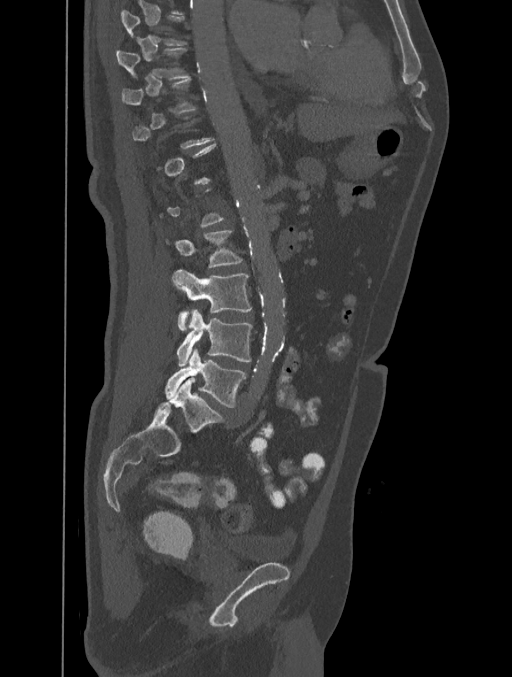
CT — sagittal reformat — 512x677 px
Boxes: x1 y1 x2 y2 (pixel coords, space-separated).
A vertebra is boxed only from the first to the last slice where its cross-section is at least a third of its largest; slices outside that range leave it without a box.
Vertebra bounding boxes:
- L5: 165 348 245 407
- L4: 176 309 252 366
- L3: 172 270 252 330
- L2: 166 230 243 267
- T9: 116 47 188 78